Computed tomography of the spine · sagittal view · 10 vertebrae labeled in this scan
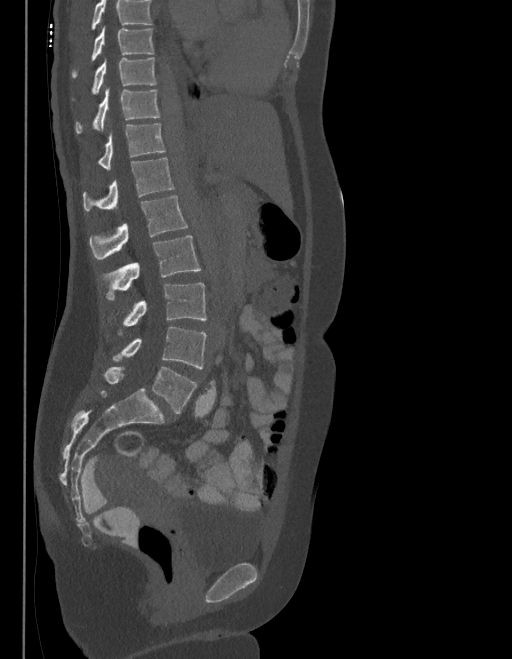
Boxes: x1:y1:x2:y2 in pixels.
No box is given to a vertebra that the top edge of the scan cuts off.
In these labels the spine has an L6, a sixth lumbar vertebra below L5.
T9: 72:26:153:77
T10: 91:58:155:94
T11: 76:87:159:133
T12: 98:123:165:169
L1: 82:158:173:211
L2: 90:196:187:259
L3: 102:236:200:300
L4: 118:282:206:334
L5: 112:327:206:368
L6: 104:367:197:414